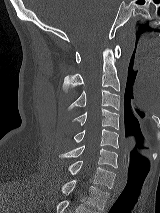
Spine computed tomography · sagittal view · W/L 1800/400 HU · image width 160 mm. Each box given as x1,y1,x2,y2.
| vertebra | x1 | y1 | x2 | y2 |
|---|---|---|---|---|
| T1 | 62 | 180 | 109 | 209 |
| C7 | 69 | 160 | 115 | 188 |
| C6 | 59 | 145 | 117 | 167 |
| C5 | 73 | 128 | 118 | 148 |
| C4 | 73 | 108 | 119 | 129 |
| C3 | 69 | 89 | 119 | 110 |
| C2 | 63 | 48 | 119 | 91 |
| C1 | 75 | 44 | 120 | 63 |